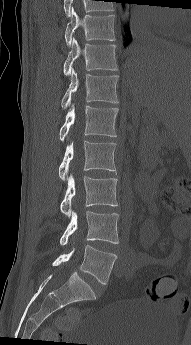 Computed tomography of the spine. 191 mm across the image. sagittal view. Bone window (WL 400, WW 1800). 191x345 px
Boxes are given in columns x1, y1, x2, y2, the pixel coordinates of their top-left and bottom-right corners.
| vertebra | x1 | y1 | x2 | y2 |
|---|---|---|---|---|
| T10 | 65 | 6 | 115 | 46 |
| T11 | 63 | 37 | 118 | 75 |
| T12 | 61 | 68 | 118 | 109 |
| L1 | 59 | 103 | 118 | 142 |
| L2 | 58 | 141 | 116 | 181 |
| L3 | 60 | 173 | 118 | 218 |
| L4 | 59 | 210 | 119 | 245 |
| L5 | 52 | 245 | 117 | 284 |